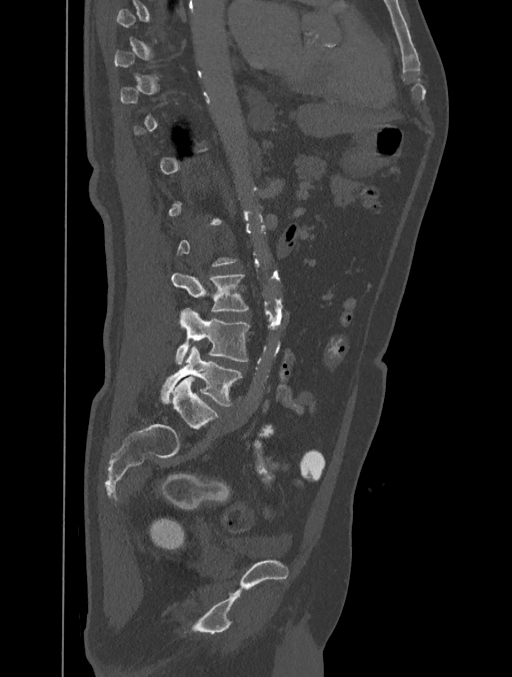
CT — sagittal reformat — 512x677 px
Each vertebra maps to its box as [x1, y1, x2, y2], the pixel coordinates of its top-left and bottom-right corners.
A vertebra gets a box only on the slices from the first to the last where its cross-section is at least a third of its largest; on a slice outside that range it gets none.
{"vertebrae":{"L3":[171,272,248,312],"L4":[176,308,250,364],"L5":[161,346,243,405]}}